Computed tomography of the spine — sagittal view — 512x511 px
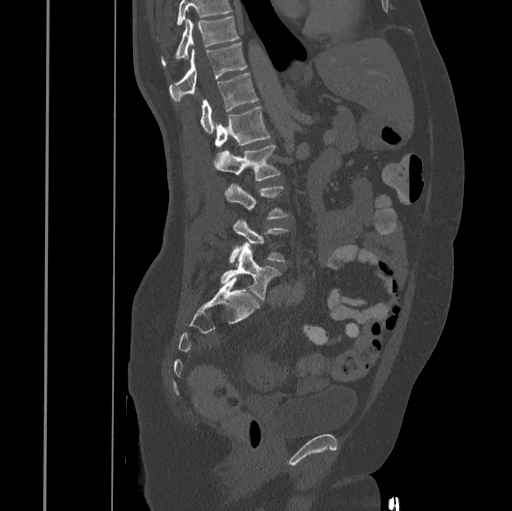

Each vertebra maps to its box as [x1, y1, x2, y2], the pixel coordinates of its top-left and bottom-right corners.
No box is given to a vertebra that the top edge of the scan cuts off.
{"vertebrae":{"T10":[161,16,238,65],"T11":[169,42,246,102],"T12":[200,74,258,134],"L1":[215,106,270,147],"L2":[214,145,280,180],"L3":[225,184,289,219],"L4":[229,220,288,262],"L5":[221,242,281,300]}}